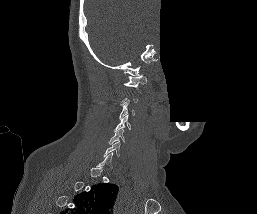
CT, spine · sagittal reformat · W/L 1800/400 HU · the image spans 257 mm across · 257x214 px · an area of the scan was removed and filled with constant pixels
Box edges are left/top/right/bottom in pixels.
Not every vertebra on this slice has a box: a vertebra is boxed only from the first to the last slice where its cross-section is at least a third of its largest, and this slice is outside that range for at least one of them.
| vertebra | x1 | y1 | x2 | y2 |
|---|---|---|---|---|
| C1 | 123 | 75 | 147 | 87 |
| C3 | 119 | 102 | 135 | 118 |
| C4 | 114 | 115 | 131 | 131 |
| C5 | 109 | 129 | 124 | 144 |
| C6 | 103 | 141 | 120 | 156 |